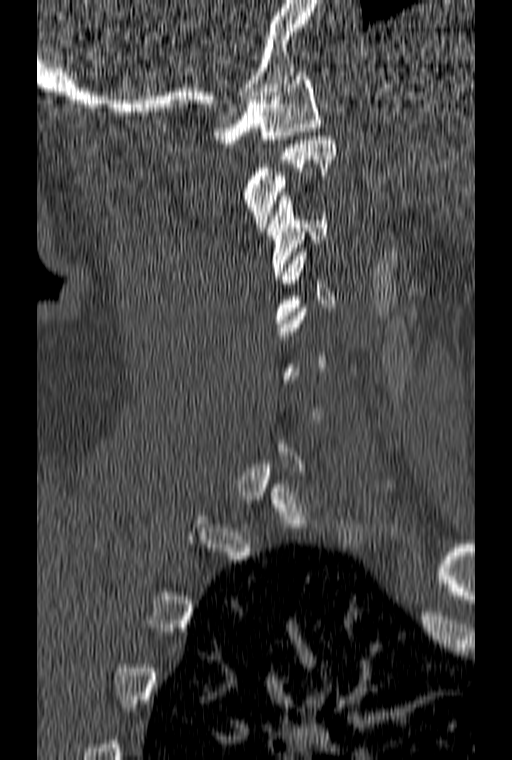
Computed tomography of the spine — image 160 mm wide — sagittal view
Boxes: x1:y1:x2:y2 in pixels.
A vertebra gets a box only on the slices from the first to the last where its cross-section is at least a third of its largest; on a slice outside that range it gets none.
C3: 267:192:327:279
C2: 244:136:336:231
C1: 214:72:320:143